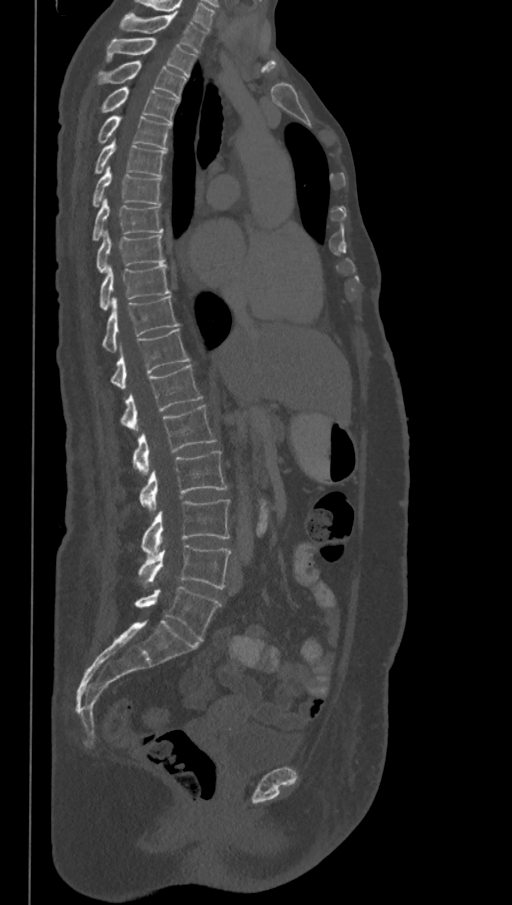

Computed tomography of the spine · sagittal view · image width 368 mm · 512x905 px
Boxes below are [x1, y1, x2, y2] in pixels.
This scan's labels start at T1 at the top and end at L6 at the bottom.
These labels give the spine a sixth lumbar vertebra, L6, below L5.
{"vertebrae":{"T1":[119,14,207,52],"T2":[106,38,196,77],"T3":[97,61,187,99],"T4":[99,86,178,124],"T5":[97,115,171,149],"T6":[94,141,166,177],"T7":[92,167,162,206],"T8":[92,199,163,241],"T9":[96,230,164,273],"T10":[99,264,170,311],"T11":[101,296,178,352],"T12":[110,329,189,388],"L1":[119,364,202,430],"L2":[132,404,216,474],"L3":[139,451,227,510],"L4":[140,500,230,555],"L5":[138,545,231,589],"L6":[135,587,221,640]}}